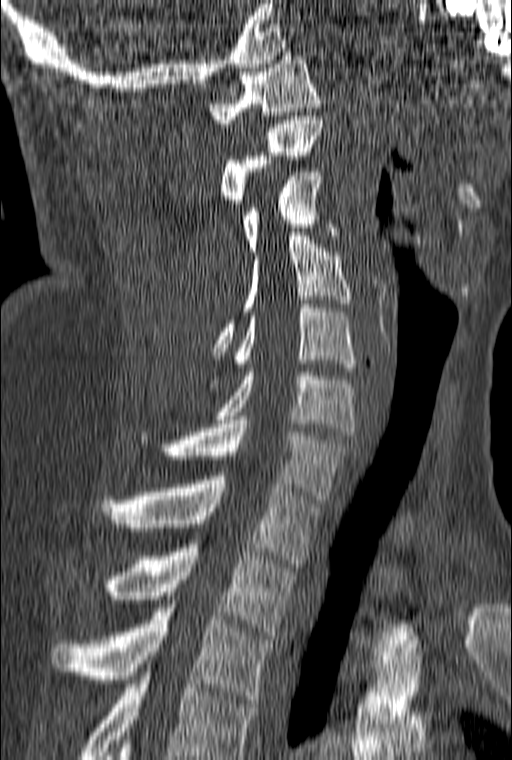 CT, spine · sagittal view · W/L 1800/400 HU · 512x760 px · 160 mm across the image. Box edges are left/top/right/bottom in pixels.
This scan's labels start at C1 at the top and end at T3 at the bottom.
| vertebra | x1 | y1 | x2 | y2 |
|---|---|---|---|---|
| C1 | 209 | 52 | 321 | 127 |
| C2 | 221 | 116 | 323 | 207 |
| C3 | 243 | 168 | 339 | 251 |
| C4 | 211 | 236 | 352 | 355 |
| C5 | 209 | 304 | 356 | 387 |
| C6 | 216 | 368 | 355 | 435 |
| C7 | 140 | 420 | 349 | 503 |
| T1 | 100 | 476 | 319 | 567 |
| T2 | 104 | 544 | 295 | 635 |
| T3 | 51 | 604 | 272 | 703 |